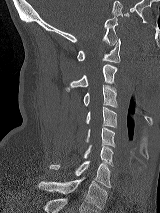
CT spine — sagittal view — W/L 1800/400 HU

Boxes: x1 y1 x2 y2 (pixel coords, space-separated).
Vertebra bounding boxes:
- T1: 38 177 107 209
- C7: 50 161 111 187
- C6: 83 145 113 166
- C5: 85 127 115 147
- C4: 85 107 117 128
- C3: 83 85 117 108
- C2: 65 64 117 91
- C1: 77 38 120 63